CT, spine — sagittal view — 10 vertebrae labeled in this scan
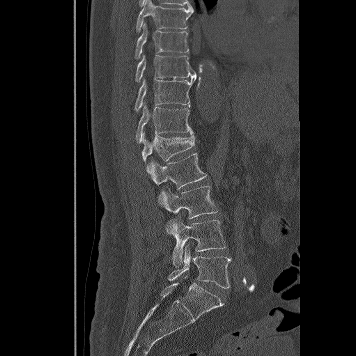
<vertebrae><v name="T8" x1="136" y1="0" x2="194" y2="33"/><v name="T9" x1="134" y1="23" x2="189" y2="58"/><v name="T10" x1="134" y1="54" x2="197" y2="82"/><v name="T11" x1="135" y1="77" x2="195" y2="111"/><v name="T12" x1="136" y1="105" x2="193" y2="143"/><v name="L1" x1="142" y1="132" x2="194" y2="172"/><v name="L2" x1="149" y1="153" x2="206" y2="203"/><v name="L3" x1="162" y1="186" x2="217" y2="218"/><v name="L4" x1="166" y1="216" x2="225" y2="266"/><v name="L5" x1="168" y1="245" x2="230" y2="288"/></vertebrae>